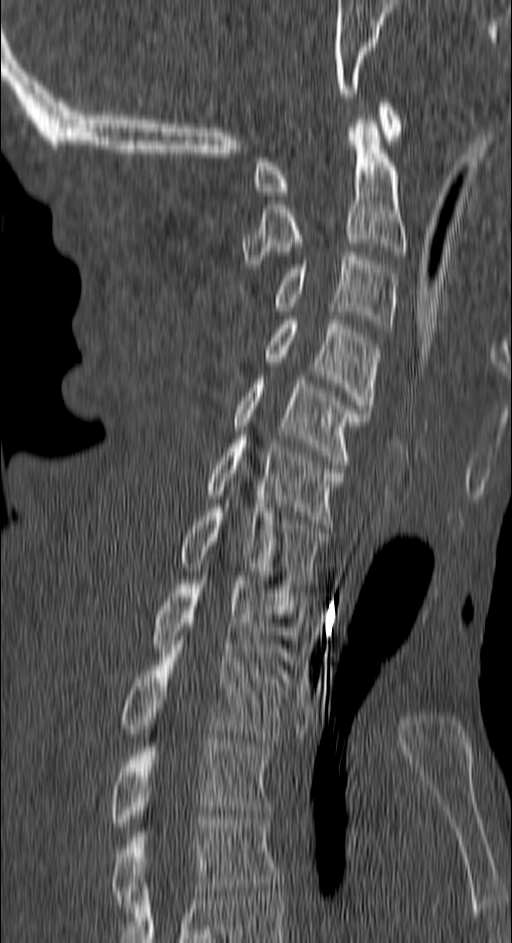
CT — sagittal view — bone-window reconstruction — 512x943 px — 150 mm wide
Each box is [x1, y1, x2, y2] in pixels: top-left corner, then bottom-right corner.
{"vertebrae":{"C1":[254,98,400,195],"C2":[240,119,406,268],"C3":[274,252,396,332],"C4":[264,320,379,413],"C5":[233,375,365,464],"C6":[206,439,345,524],"C7":[179,508,328,588],"T1":[151,576,303,669],"T2":[121,644,288,746],"T3":[110,738,270,831],"T4":[110,815,280,908]}}